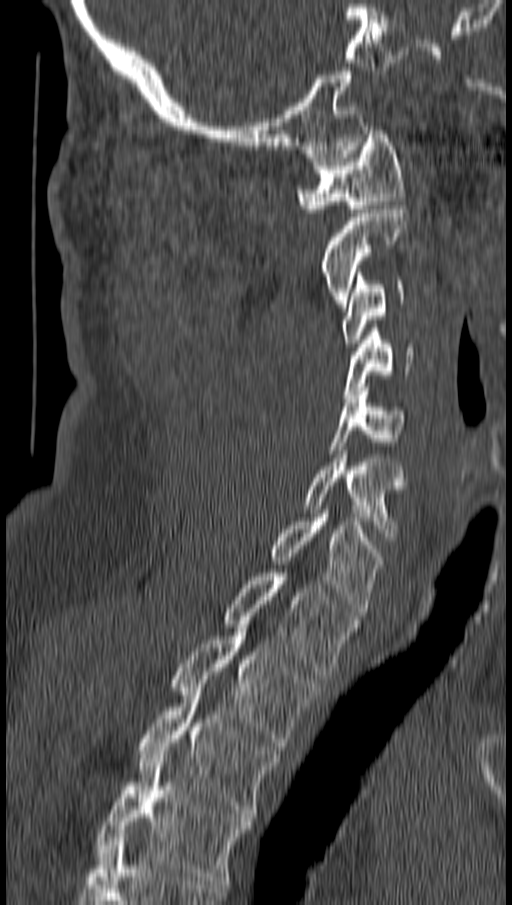
CT, spine; sagittal view; 512x905 px

Box edges are left/top/right/bottom in pixels.
Vertebra bounding boxes:
- C1: left=298, top=126, right=405, bottom=212
- C2: left=320, top=201, right=408, bottom=307
- C3: left=342, top=273, right=404, bottom=343
- C4: left=343, top=328, right=413, bottom=398
- C5: left=330, top=387, right=405, bottom=453
- C6: left=304, top=450, right=408, bottom=540
- C7: left=270, top=510, right=382, bottom=615
- T1: left=222, top=573, right=357, bottom=675
- T2: left=172, top=628, right=319, bottom=750
- T3: left=137, top=691, right=278, bottom=817
- T4: left=96, top=755, right=250, bottom=884